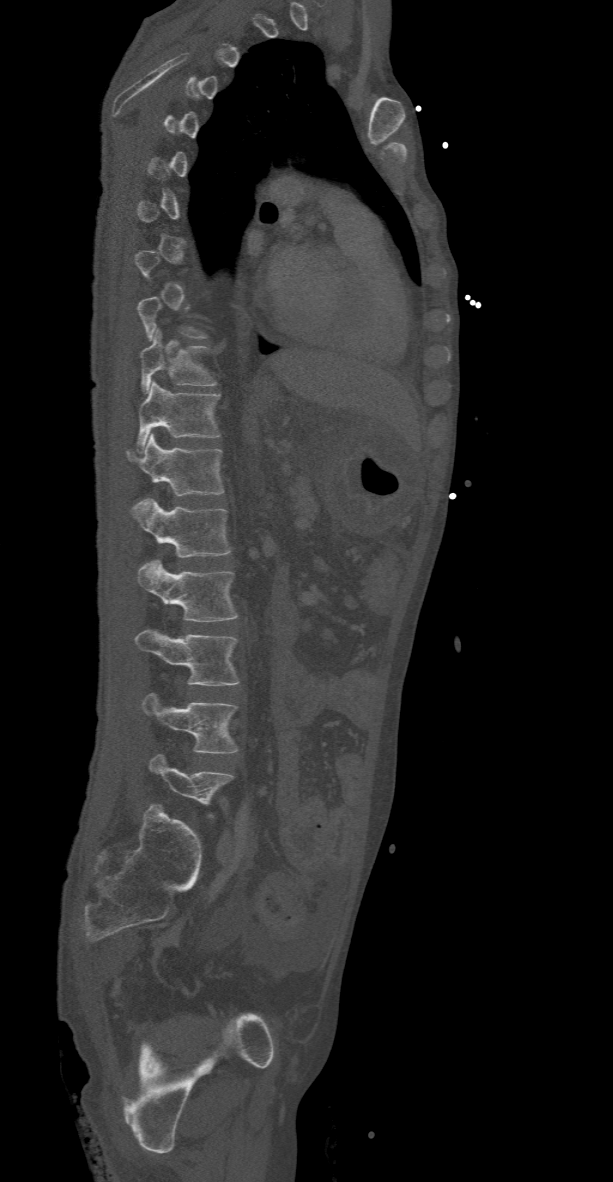 CT, spine · sagittal view · 613x1182 px

Each vertebra maps to its box as [x1, y1, x2, y2], the pixel coordinates of its top-left and bottom-right corners.
Not every vertebra on this slice has a box: a vertebra is boxed only from the first to the last slice where its cross-section is at least a third of its largest, and this slice is outside that range for at least one of them.
{"vertebrae":{"T10":[140,329,217,393],"T11":[137,381,221,453],"T12":[126,434,224,496],"L1":[131,499,230,556],"L2":[137,559,239,621],"L3":[134,629,239,685],"L4":[141,692,239,753],"L5":[149,754,234,818]}}